CT, spine — sagittal reformat — bone-window reconstruction — 512x780 px — scan covers 10 annotated vertebrae
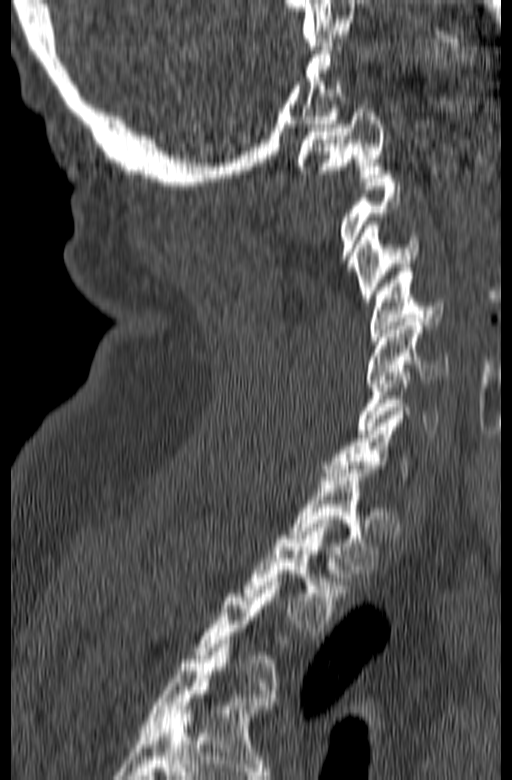

Columns x1, y1, x2, y2 give each box's top-left and bottom-right pixels.
Not every vertebra on this slice has a box: a vertebra is boxed only from the first to the last slice where its cross-section is at least a third of its largest, and this slice is outside that range for at least one of them.
| vertebra | x1 | y1 | x2 | y2 |
|---|---|---|---|---|
| T2 | 243 | 520 | 351 | 631 |
| T1 | 289 | 465 | 379 | 569 |
| C6 | 357 | 368 | 439 | 433 |
| C5 | 367 | 318 | 448 | 387 |
| C4 | 370 | 268 | 444 | 340 |
| C3 | 353 | 221 | 420 | 302 |
| C1 | 297 | 105 | 385 | 177 |